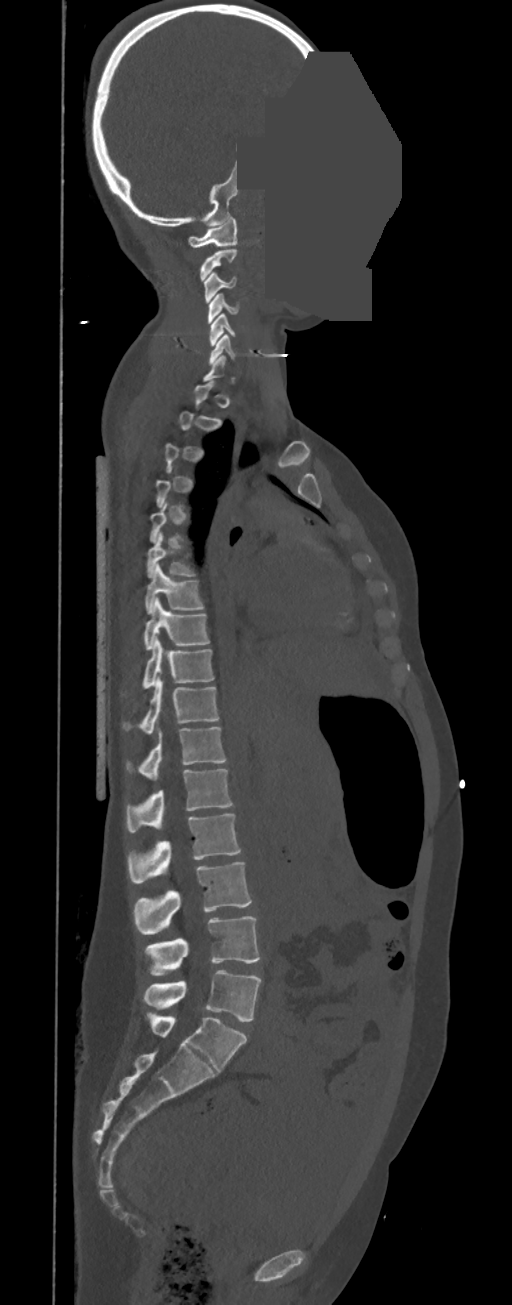

Spine computed tomography — sagittal view — some of the image was removed or blocked out with constant pixels

Bounding boxes as [x1, y1, x2, y2] in pixel coordinates. A vertebra gets a box only on the slices from the first to the last where its cross-section is at least a third of its largest; on a slice outside that range it gets none. In these labels the thoracic vertebrae end at T11, so L1 follows T11. 17 vertebrae labeled — C1 at [187, 217, 237, 247]; C2 at [200, 249, 237, 281]; C3 at [203, 273, 237, 302]; C4 at [207, 294, 239, 323]; C5 at [209, 313, 243, 345]; C6 at [209, 334, 237, 365]; T6 at [146, 532, 196, 577]; T7 at [145, 565, 205, 614]; T8 at [143, 598, 209, 649]; T9 at [142, 639, 214, 688]; T10 at [123, 673, 218, 734]; T11 at [126, 727, 227, 780]; L1 at [127, 769, 233, 832]; L2 at [127, 814, 242, 882]; L3 at [133, 862, 252, 934]; L4 at [145, 916, 259, 975]; L5 at [143, 970, 261, 1022].